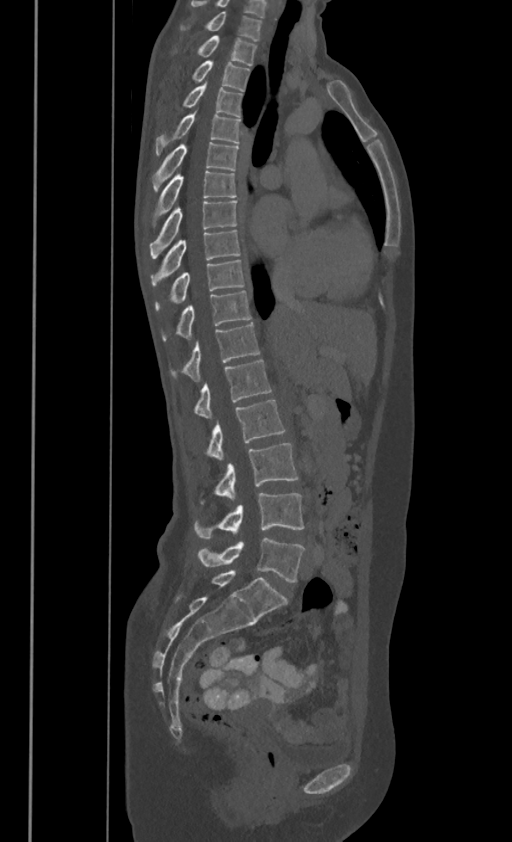
Computed tomography of the spine · sagittal view

Box edges are left/top/right/bottom in pixels.
In these labels the spine has no T12: the thoracic vertebrae end at T11, and L1 comes next.
Vertebra bounding boxes:
- L5: left=199, top=538, right=304, bottom=582
- L4: left=195, top=493, right=304, bottom=537
- L3: left=216, top=443, right=297, bottom=500
- L2: left=208, top=399, right=284, bottom=460
- L1: left=195, top=359, right=271, bottom=417
- T11: left=184, top=322, right=259, bottom=380
- T10: left=163, top=290, right=251, bottom=338
- T9: left=156, top=258, right=244, bottom=308
- T8: left=152, top=229, right=240, bottom=282
- T7: left=150, top=199, right=236, bottom=257
- T6: left=152, top=170, right=235, bottom=226
- T5: left=152, top=142, right=238, bottom=190
- T4: left=156, top=109, right=240, bottom=154
- T3: left=184, top=79, right=242, bottom=115
- T2: left=193, top=60, right=248, bottom=89
- T1: left=199, top=35, right=256, bottom=63
- C7: left=207, top=11, right=260, bottom=40